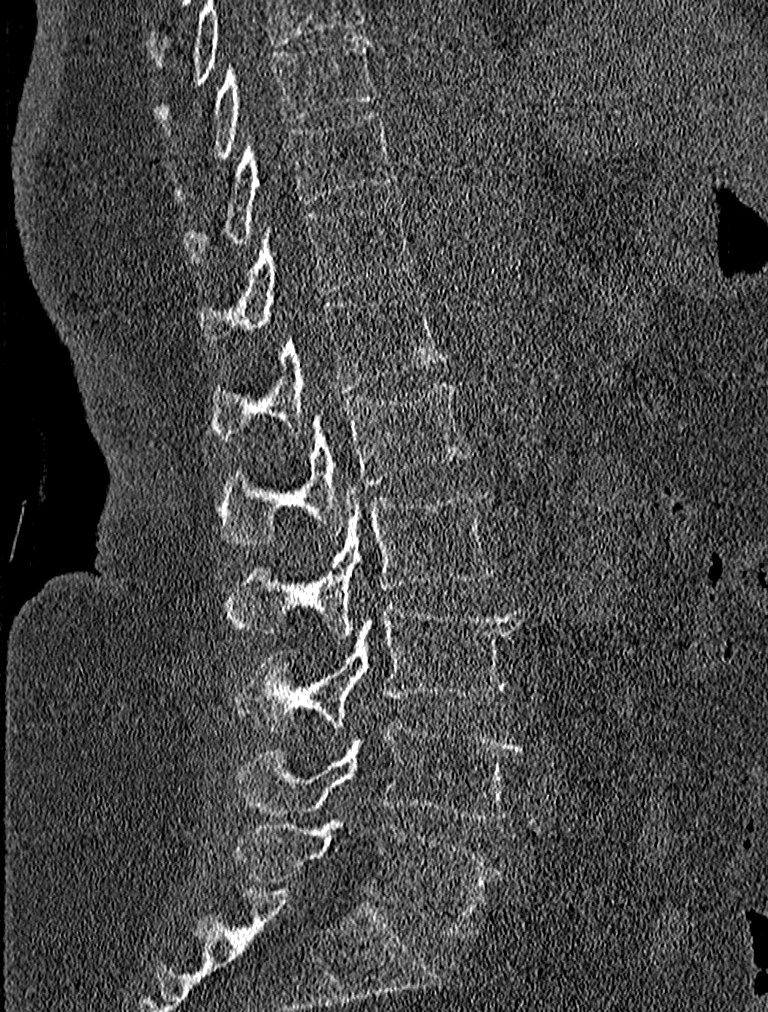
Spine computed tomography · sagittal reformat

<vertebrae><v name="T9" x1="171" y1="33" x2="377" y2="198"/><v name="T10" x1="182" y1="111" x2="397" y2="262"/><v name="T11" x1="195" y1="199" x2="414" y2="351"/><v name="T12" x1="209" y1="288" x2="448" y2="439"/><v name="L1" x1="215" y1="382" x2="471" y2="546"/><v name="L2" x1="225" y1="487" x2="495" y2="637"/><v name="L3" x1="236" y1="600" x2="522" y2="731"/><v name="L4" x1="232" y1="722" x2="522" y2="820"/><v name="L5" x1="236" y1="818" x2="499" y2="938"/></vertebrae>